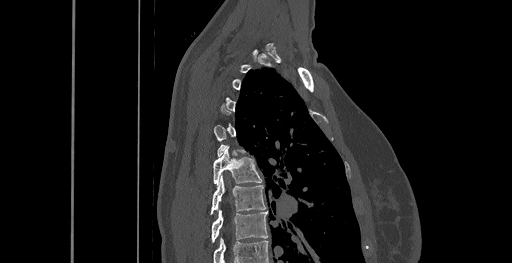
Spine CT. image 461 mm wide. sagittal view. W/L 1800/400 HU
Each box given as x1,y1,x2,y2.
A vertebra is boxed only from the first to the last slice where its cross-section is at least a third of its largest; slices outside that range leave it without a box.
The highest labeled vertebra in this scan is C6; the lowest is T8.
| vertebra | x1 | y1 | x2 | y2 |
|---|---|---|---|---|
| T6 | 213 | 147 | 262 | 184 |
| T7 | 210 | 176 | 265 | 214 |
| T8 | 211 | 210 | 268 | 242 |